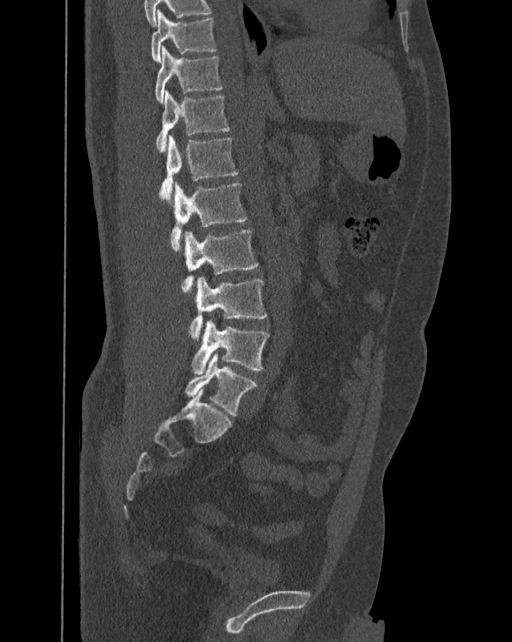 CT — sagittal view — image width 392 mm
In these labels the spine has an L6, a sixth lumbar vertebra below L5.
<vertebrae><v name="L6" x1="185" y1="353" x2="256" y2="415"/><v name="L5" x1="192" y1="320" x2="269" y2="374"/><v name="L4" x1="189" y1="276" x2="267" y2="340"/><v name="L3" x1="181" y1="230" x2="257" y2="298"/><v name="L2" x1="171" y1="182" x2="248" y2="251"/><v name="L1" x1="159" y1="135" x2="238" y2="201"/><v name="T12" x1="155" y1="91" x2="230" y2="151"/><v name="T11" x1="155" y1="46" x2="222" y2="104"/><v name="T10" x1="151" y1="9" x2="217" y2="62"/></vertebrae>